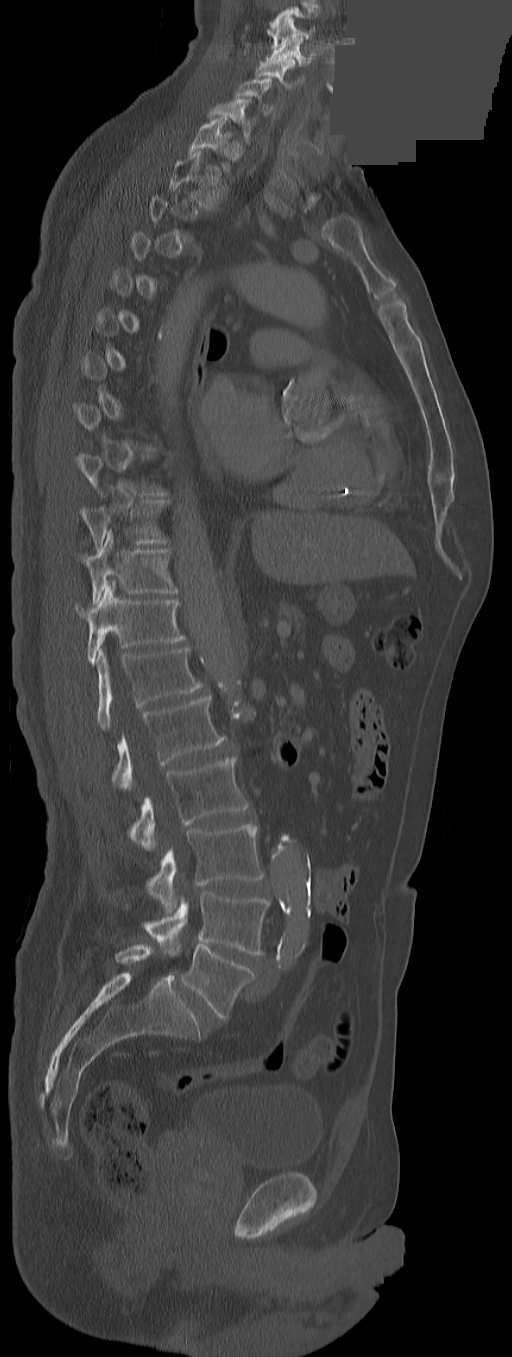

Spine CT — sagittal reformat — part of the image has been replaced by a constant value
A vertebra gets a box only on the slices from the first to the last where its cross-section is at least a third of its largest; on a slice outside that range it gets none.
The labels name an extra thoracic vertebra here, T13, which comes after T12 and before L1.
<vertebrae><v name="L5" x1="166" y1="944" x2="255" y2="1018"/><v name="L4" x1="142" y1="891" x2="269" y2="955"/><v name="L3" x1="148" y1="824" x2="263" y2="913"/><v name="L2" x1="129" y1="757" x2="249" y2="849"/><v name="L1" x1="111" y1="696" x2="226" y2="790"/><v name="T13" x1="95" y1="646" x2="203" y2="730"/><v name="T12" x1="76" y1="580" x2="184" y2="665"/><v name="T11" x1="78" y1="532" x2="177" y2="603"/><v name="T10" x1="80" y1="500" x2="168" y2="552"/><v name="T2" x1="169" y1="150" x2="225" y2="209"/><v name="T1" x1="189" y1="115" x2="234" y2="170"/><v name="C7" x1="207" y1="97" x2="256" y2="145"/><v name="C6" x1="235" y1="78" x2="273" y2="116"/><v name="C5" x1="256" y1="57" x2="304" y2="91"/><v name="C4" x1="266" y1="37" x2="314" y2="65"/><v name="C3" x1="267" y1="17" x2="314" y2="48"/></vertebrae>